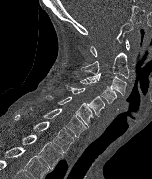

Spine CT · sagittal view
Boxes are (x1, y1, x2, y2) in pixels. The labeled vertebrae in this slice are: T2 at (22, 135, 63, 169), T1 at (14, 115, 74, 152), C7 at (30, 108, 86, 137), C6 at (46, 95, 93, 127), C5 at (65, 85, 104, 116), C4 at (80, 79, 117, 104), C3 at (86, 73, 126, 96), C2 at (80, 52, 129, 78), C1 at (90, 39, 129, 56).